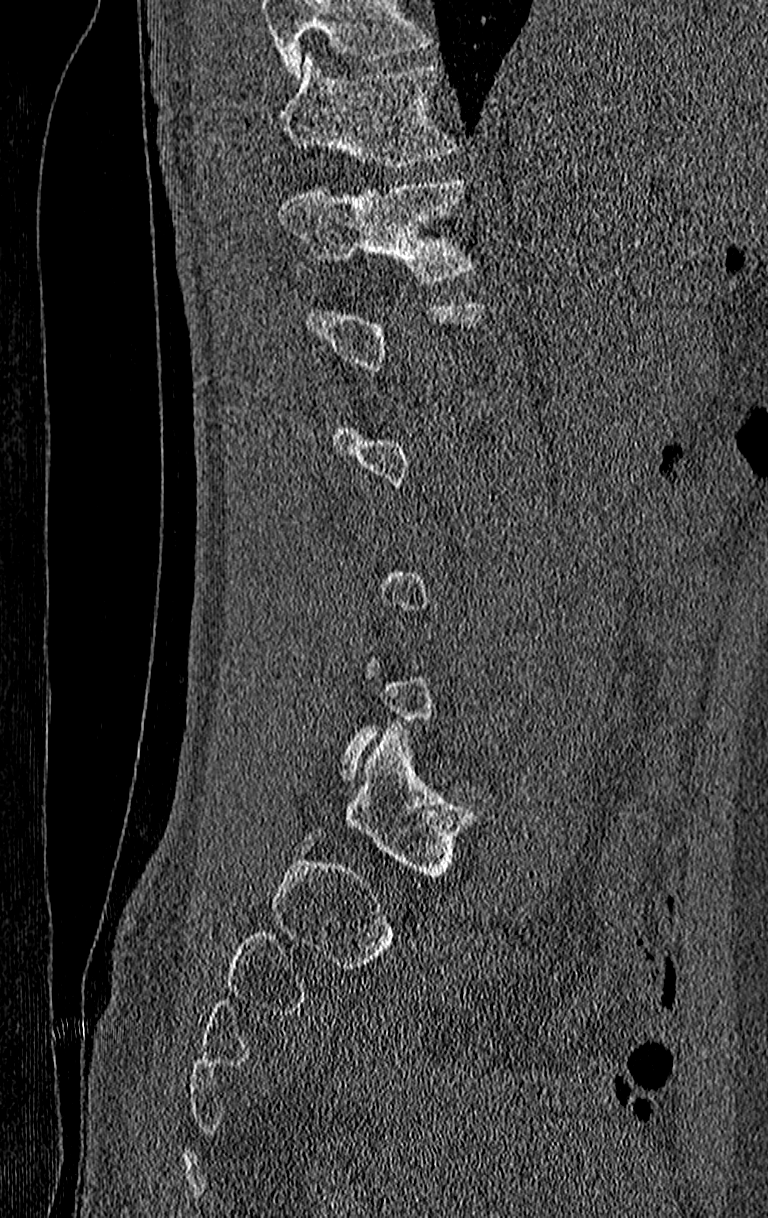 CT, spine · sagittal view · W/L 1800/400 HU
Each vertebra maps to its box as [x1, y1, x2, y2], the pixel coordinates of its top-left and bottom-right corners.
Not every vertebra on this slice has a box: a vertebra is boxed only from the first to the last slice where its cross-section is at least a third of its largest, and this slice is outside that range for at least one of them.
No box is given to a vertebra that the top edge of the scan cuts off.
{"vertebrae":{"T12":[280,179,473,282],"T11":[280,56,455,169]}}